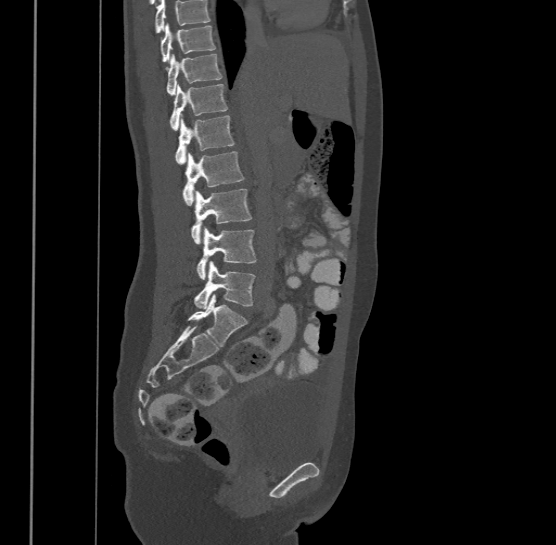

Spine CT; sagittal view

Box values are [left, top, right, bottom] in pixels.
Where the top of the scan cuts through a vertebra, that vertebra gets no label or box.
In this scan, the topmost labeled vertebra is T9 and the lowest is L4.
{"vertebrae":{"T9":[160,23,215,61],"T10":[167,53,223,94],"T11":[170,82,227,129],"T12":[176,114,234,163],"L1":[183,151,243,204],"L2":[191,188,251,243],"L3":[196,226,257,280],"L4":[194,260,256,308]}}